CT. sagittal plane, index 359. bone-window reconstruction. 512x943 px
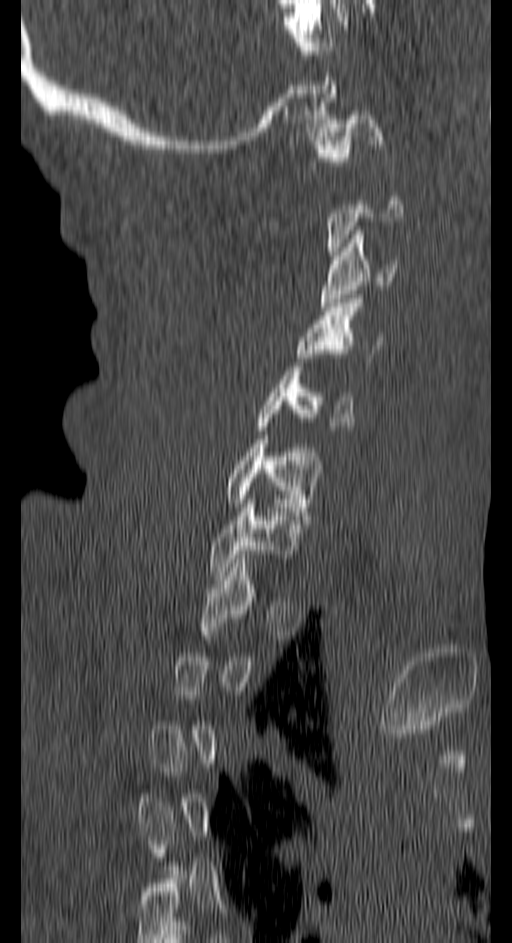

Boxes are (x1, y1, x2, y2) in pixels. Not every vertebra on this slice has a box: a vertebra is boxed only from the first to the last slice where its cross-section is at least a third of its largest, and this slice is outside that range for at least one of them. The labeled vertebrae in this slice are: C1 at (308, 111, 383, 165), C3 at (320, 230, 396, 306), C4 at (295, 299, 381, 366), C5 at (254, 371, 354, 430), C6 at (223, 439, 321, 524), C7 at (209, 503, 298, 575).